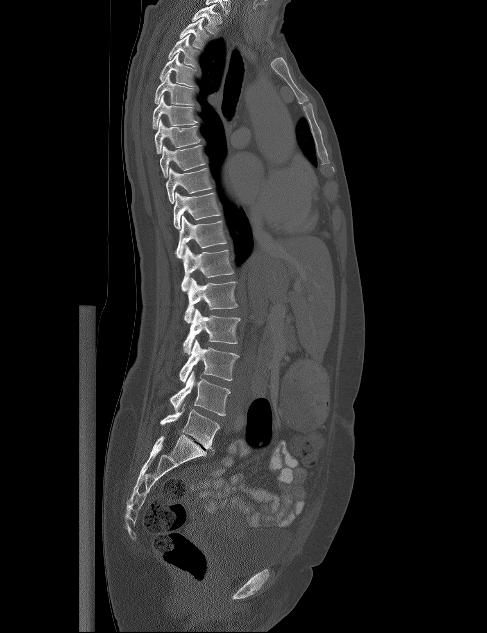 Spine CT — sagittal view — bone-window reconstruction
Each box given as x1,y1,x2,y2.
Vertebra bounding boxes:
- L5: x1=160, y1=403, x2=220, y2=451
- L4: x1=170, y1=371, x2=230, y2=415
- L3: x1=179, y1=339, x2=239, y2=383
- L2: x1=183, y1=309, x2=240, y2=354
- L1: x1=184, y1=277, x2=237, y2=323
- T12: x1=181, y1=245, x2=234, y2=291
- T11: x1=174, y1=215, x2=226, y2=258
- T10: x1=174, y1=191, x2=220, y2=229
- T9: x1=166, y1=167, x2=212, y2=203
- T8: x1=160, y1=145, x2=205, y2=177
- T7: x1=154, y1=119, x2=201, y2=153
- T6: x1=152, y1=95, x2=197, y2=129
- T5: x1=154, y1=74, x2=194, y2=105
- T4: x1=159, y1=52, x2=195, y2=86
- T3: x1=168, y1=34, x2=199, y2=67
- T2: x1=179, y1=18, x2=209, y2=49
- T1: x1=191, y1=4, x2=222, y2=35